Spine computed tomography · sagittal view · Bone window (WL 400, WW 1800) · scan covers 17 annotated vertebrae · 461 mm across the image
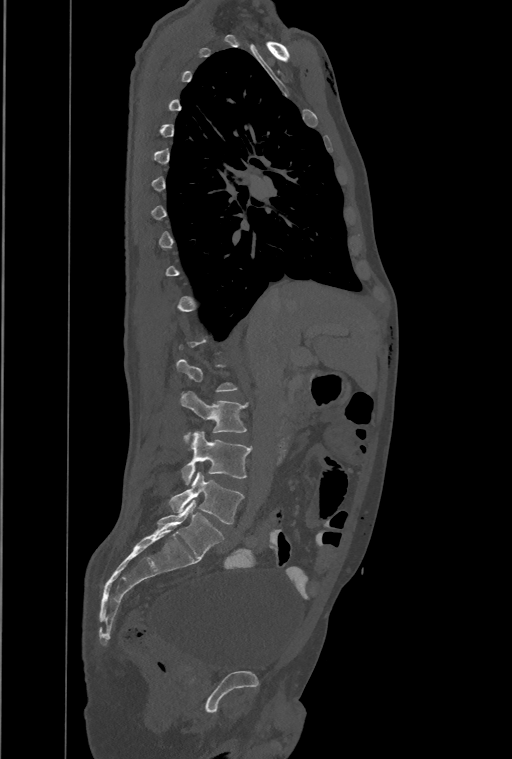
Boxes are given in columns x1, y1, x2, y2, the pixel coordinates of their top-left and bottom-right corners.
A vertebra is boxed only from the first to the last slice where its cross-section is at least a third of its largest; slices outside that range leave it without a box.
The highest labeled vertebra in this scan is T1; the lowest is L4.
| vertebra | x1 | y1 | x2 | y2 |
|---|---|---|---|---|
| L2 | 182 | 391 | 247 | 444 |
| L3 | 182 | 431 | 252 | 485 |
| L4 | 170 | 472 | 244 | 524 |